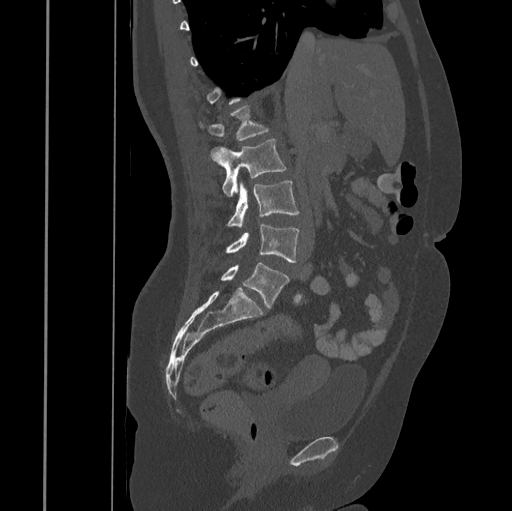
CT · sagittal reformat · W/L 1800/400 HU · 512x511 px
<vertebrae><v name="L5" x1="221" y1="262" x2="289" y2="309"/><v name="L4" x1="225" y1="224" x2="299" y2="262"/><v name="L3" x1="228" y1="180" x2="299" y2="228"/><v name="L2" x1="210" y1="139" x2="287" y2="197"/><v name="L1" x1="208" y1="106" x2="268" y2="140"/></vertebrae>